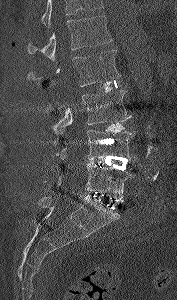

CT — sagittal view
Each box given as x1,y1,x2,y2. No box is given to a vertebra that the top edge of the scan cuts off. Vertebrae labeled: L1 at x1=27, y1=15, x2=112, y2=60, L2 at x1=28, y1=50, x2=121, y2=86, L3 at x1=53, y1=90, x2=131, y2=134, L4 at x1=45, y1=130, x2=135, y2=165, L5 at x1=45, y1=163, x2=134, y2=199.